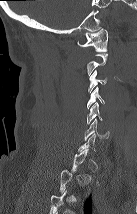

CT spine — sagittal view — the image spans 137 mm across
Bounding boxes as [x1, y1, x2, y2] in pixel coordinates. Not every vertebra on this slice has a box: a vertebra is boxed only from the first to the last slice where its cross-section is at least a third of its largest, and this slice is outside that range for at least one of them. Vertebrae labeled: C1 at [77, 28, 108, 51], C3 at [88, 70, 107, 93], C4 at [87, 86, 104, 108], C5 at [87, 102, 102, 124], C6 at [84, 118, 109, 140].